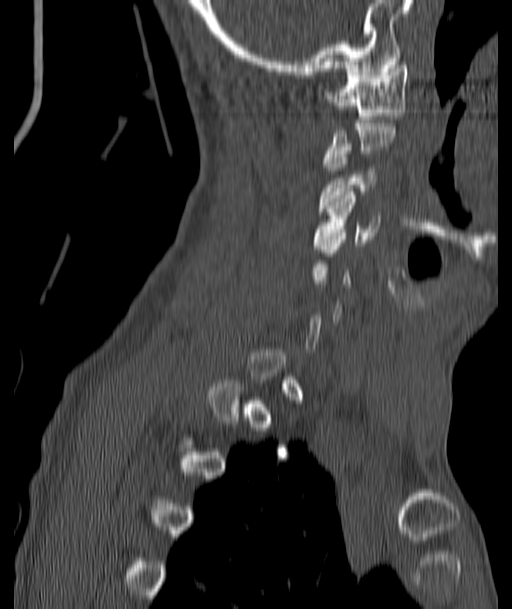 CT — sagittal view
In the table, x1 and y1 are a box's top-left corner and x2 and y2 its bottom-right corner, in pixels.
A vertebra gets a box only on the slices from the first to the last where its cross-section is at least a third of its largest; on a slice outside that range it gets none.
| vertebra | x1 | y1 | x2 | y2 |
|---|---|---|---|---|
| C1 | 327 | 62 | 408 | 122 |
| C3 | 321 | 151 | 375 | 208 |
| C4 | 315 | 192 | 378 | 245 |